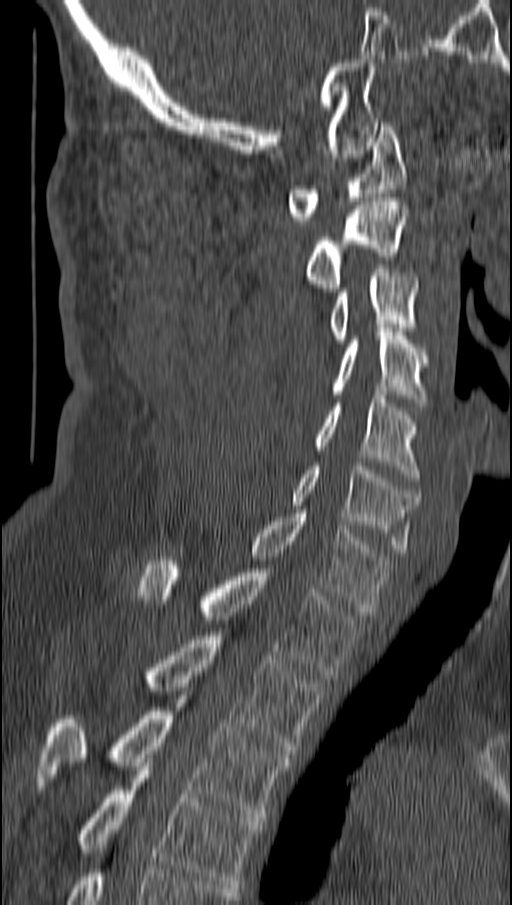

Spine computed tomography — sagittal view — bone window — image 162 mm wide
Each row gives a vertebra's box as x1, y1, x2, y2 in pixels: top-left corner, then bottom-right corner.
| vertebra | x1 | y1 | x2 | y2 |
|---|---|---|---|---|
| C1 | 288 | 122 | 405 | 220 |
| C2 | 308 | 201 | 405 | 295 |
| C3 | 330 | 265 | 418 | 343 |
| C4 | 333 | 328 | 427 | 406 |
| C5 | 314 | 395 | 420 | 481 |
| C6 | 292 | 462 | 417 | 552 |
| C7 | 251 | 514 | 389 | 615 |
| T1 | 139 | 561 | 357 | 679 |
| T2 | 146 | 632 | 322 | 754 |
| T3 | 39 | 695 | 291 | 817 |
| T4 | 77 | 766 | 259 | 888 |